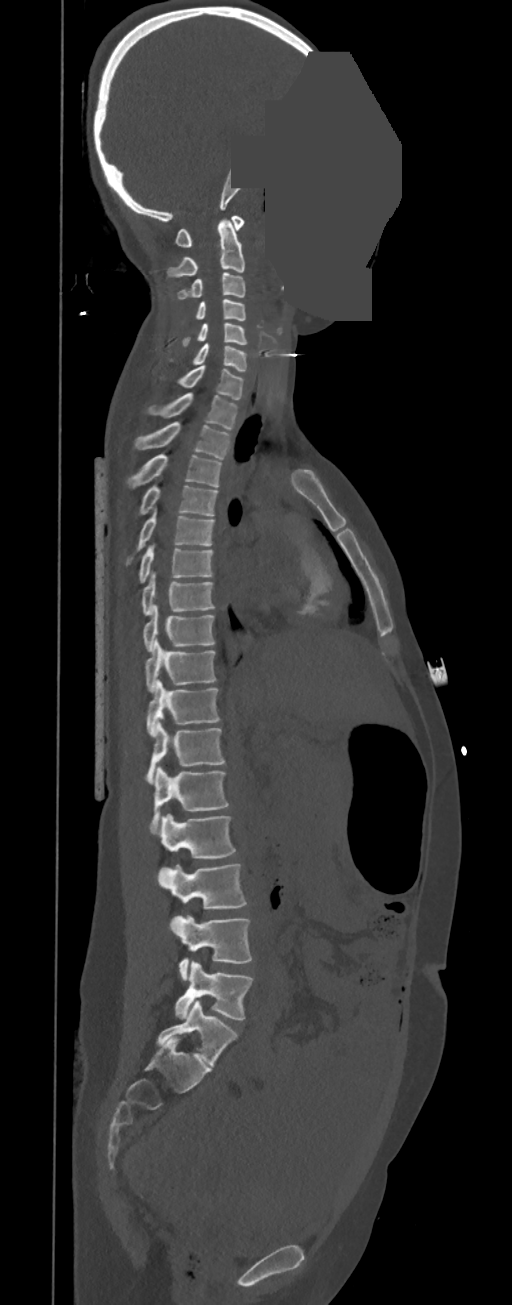
CT. image width 350 mm. sagittal view. 512x1305 px. a region is masked with a constant gray value

Coordinates as <box>x1,y1,x2,y2</box>. These labels give this spine no T12: after T11 the next vertebra is L1. Vertebrae labeled: C1 at <box>175,216,244,247</box>, C2 at <box>167,219,245,277</box>, C3 at <box>177,273,245,299</box>, C4 at <box>181,299,246,320</box>, C5 at <box>182,323,247,345</box>, C6 at <box>169,344,247,372</box>, C7 at <box>175,365,245,399</box>, T1 at <box>146,392,237,430</box>, T2 at <box>134,421,230,460</box>, T3 at <box>127,453,221,487</box>, T4 at <box>137,486,218,516</box>, T5 at <box>125,511,214,564</box>, T6 at <box>139,544,212,582</box>, T7 at <box>142,574,214,615</box>, T8 at <box>143,604,215,651</box>, T9 at <box>145,639,215,693</box>, T10 at <box>146,679,220,736</box>, T11 at <box>145,720,224,784</box>, L1 at <box>152,766,228,823</box>, L2 at <box>158,814,236,859</box>, L3 at <box>157,864,246,909</box>, L4 at <box>171,915,252,980</box>, L5 at <box>175,961,252,1019</box>.